CT spine; Sagittal slice 129/222; 222x589 px
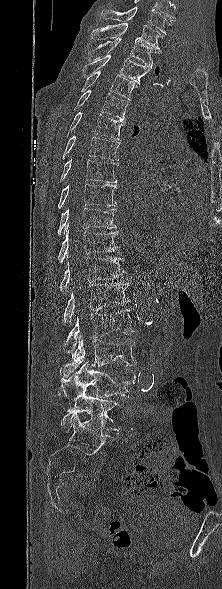
In this scan, the topmost labeled vertebra is T1 and the lowest is L5.
<vertebrae><v name="T1" x1="91" y1="23" x2="162" y2="53"/><v name="T2" x1="88" y1="37" x2="158" y2="67"/><v name="T3" x1="83" y1="54" x2="152" y2="84"/><v name="T4" x1="80" y1="71" x2="136" y2="99"/><v name="T5" x1="68" y1="89" x2="128" y2="121"/><v name="T6" x1="66" y1="112" x2="124" y2="139"/><v name="T7" x1="62" y1="135" x2="119" y2="160"/><v name="T8" x1="60" y1="158" x2="118" y2="183"/><v name="T9" x1="57" y1="183" x2="117" y2="209"/><v name="T10" x1="57" y1="207" x2="116" y2="235"/><v name="T11" x1="58" y1="223" x2="118" y2="263"/><v name="T12" x1="60" y1="256" x2="124" y2="293"/><v name="L1" x1="63" y1="282" x2="130" y2="326"/><v name="L2" x1="65" y1="309" x2="137" y2="354"/><v name="L3" x1="60" y1="335" x2="135" y2="377"/><v name="L4" x1="60" y1="362" x2="135" y2="404"/><v name="L5" x1="61" y1="393" x2="121" y2="431"/></vertebrae>